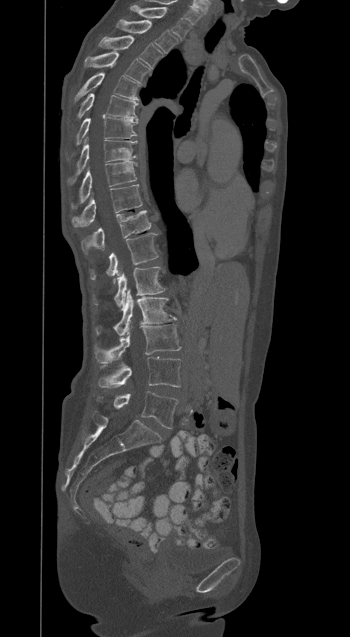 CT — image width 350 mm — sagittal view

Box edges are left/top/right/bottom in pixels.
T1: left=130, top=5, right=190, bottom=38
T2: left=117, top=20, right=178, bottom=53
T3: left=99, top=36, right=162, bottom=68
T4: left=85, top=53, right=149, bottom=81
T5: left=74, top=72, right=138, bottom=101
T6: left=77, top=93, right=137, bottom=120
T7: left=76, top=116, right=138, bottom=144
T8: left=68, top=140, right=136, bottom=184
T9: left=71, top=161, right=136, bottom=209
T10: left=72, top=185, right=142, bottom=227
T11: left=81, top=210, right=151, bottom=254
T12: left=90, top=233, right=158, bottom=281
L1: left=92, top=267, right=165, bottom=309
L2: left=95, top=290, right=175, bottom=335
L3: left=94, top=324, right=180, bottom=363
L4: left=98, top=357, right=181, bottom=387
L5: left=97, top=391, right=177, bottom=428